CT spine · sagittal reformat · image width 180 mm
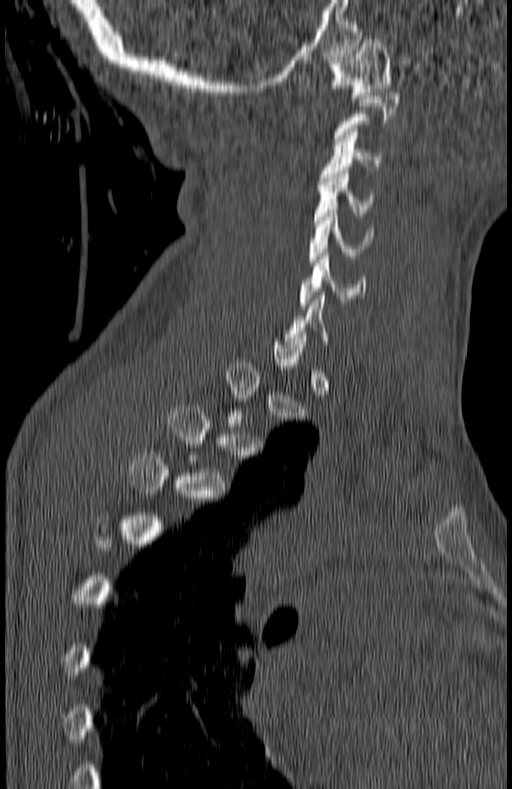 Box edges are left/top/right/bottom in pixels.
Each vertebra is boxed only on the slices from the first to the last where its cross-section reaches a third of its largest, so a slice outside that range leaves it unboxed.
C6: left=300, top=256, right=364, bottom=308
C5: left=308, top=210, right=373, bottom=262
C4: left=314, top=171, right=373, bottom=223
C3: left=319, top=128, right=381, bottom=184
C1: left=328, top=39, right=392, bottom=99